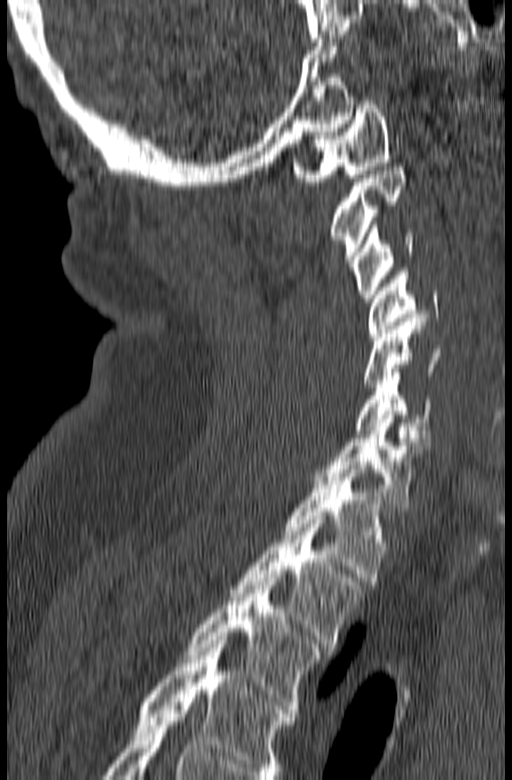
Computed tomography of the spine — sagittal view — bone window — 512x780 px
In the table, x1 and y1 are a box's top-left corner and x2 and y2 its bottom-right corner, in pixels.
This scan's labels start at C1 at the top and end at T3 at the bottom.
| vertebra | x1 | y1 | x2 | y2 |
|---|---|---|---|---|
| C1 | 293 | 101 | 391 | 181 |
| C2 | 330 | 163 | 407 | 267 |
| C3 | 352 | 221 | 416 | 302 |
| C4 | 367 | 268 | 441 | 336 |
| C5 | 364 | 318 | 441 | 387 |
| C6 | 355 | 368 | 432 | 441 |
| C7 | 314 | 411 | 426 | 507 |
| T1 | 282 | 465 | 388 | 581 |
| T2 | 229 | 520 | 365 | 647 |
| T3 | 185 | 578 | 321 | 713 |